Computed tomography of the spine. Sagittal slice 270/512. the image spans 303 mm across
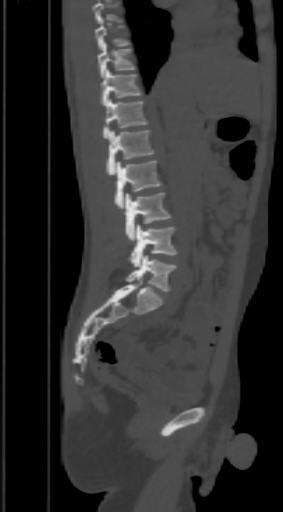
Boxes: x1:y1:x2:y2 in pixels.
A vertebra cut off by the top edge of the scan is not labeled and has no box.
T9: 95:18:128:49
T10: 98:42:133:77
T11: 101:69:142:106
T12: 104:98:147:139
L1: 106:129:153:175
L2: 115:161:161:208
L3: 123:193:170:240
L4: 129:225:175:267
L5: 126:255:175:291